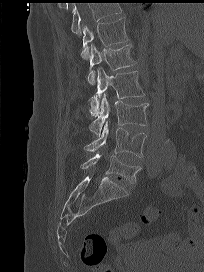
CT, spine · sagittal reformat · bone window · 204x272 px
Box edges are left/top/right/bottom in pixels. Vertebrae that run past the top of the scan are left unlabeled. Vertebrae labeled: T12 at left=80, top=16, right=128, bottom=59, L1 at left=88, top=44, right=136, bottom=84, L2 at left=89, top=67, right=145, bottom=116, L3 at left=89, top=93, right=148, bottom=135, L4 at left=84, top=120, right=146, bottom=157, L5 at left=80, top=153, right=141, bottom=184.